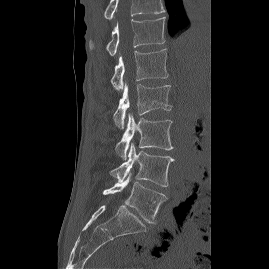

Computed tomography of the spine. sagittal view. Boxes: x1:y1:x2:y2 in pixels.
In this scan, the topmost labeled vertebra is T12 and the lowest is L5.
Vertebra bounding boxes:
- L5: 102:172:167:223
- L4: 109:143:174:186
- L3: 114:113:172:160
- L2: 113:83:171:128
- L1: 111:49:168:90
- T12: 89:17:165:55